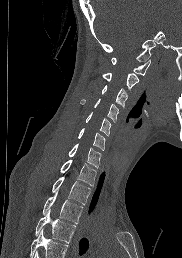 Computed tomography of the spine; sagittal view; bone-window reconstruction; 182x258 px
Box values are [left, top, right, bottom] in pixels.
No box is given to a vertebra that the bottom edge of the scan cuts off.
{"vertebrae":{"T4":[35,209,75,242],"T3":[42,191,82,223],"T2":[52,176,90,204],"T1":[60,159,96,186],"C7":[68,143,101,168],"C6":[77,128,105,150],"C5":[85,112,111,135],"C4":[80,98,119,121],"C3":[101,85,128,107],"C2":[102,73,138,93],"C1":[111,57,150,75]}}